CT, spine — Sagittal slice 269/512 — bone-window reconstruction — 526x1214 px — the image spans 368 mm across — part of the image has been replaced by a constant value
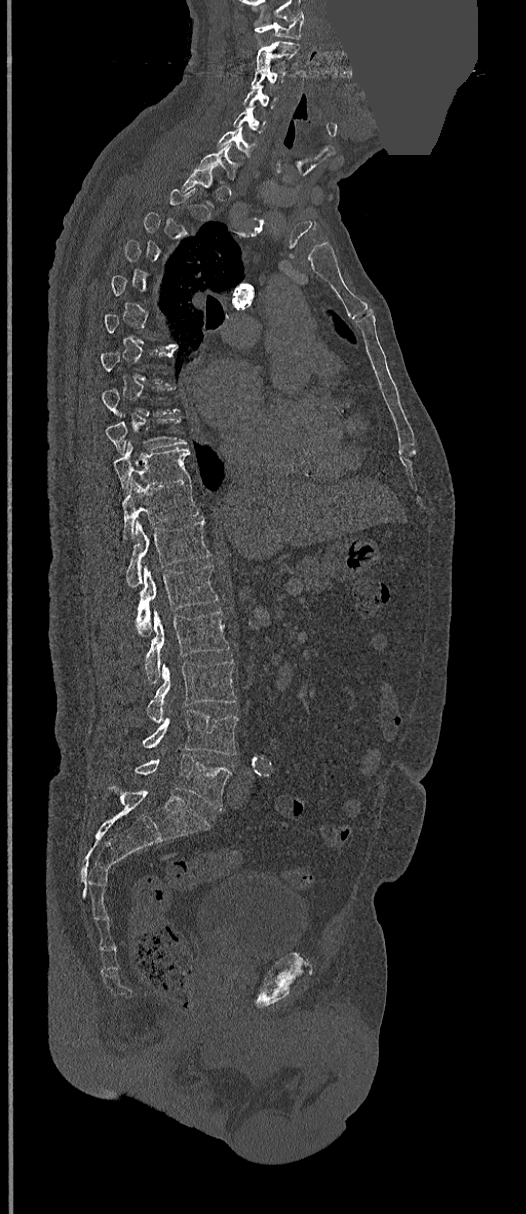

Each box given as x1,y1,x2,y2. A vertebra is boxed only from the first to the last slice where its cross-section is at least a third of its largest; slices outside that range leave it without a box. 16 vertebrae labeled — C1 at x1=254, y1=13, x2=305, y2=39; C2 at x1=256, y1=40, x2=299, y2=68; C3 at x1=252, y1=68, x2=285, y2=86; C4 at x1=244, y1=87, x2=277, y2=109; C5 at x1=233, y1=107, x2=267, y2=133; C6 at x1=217, y1=127, x2=256, y2=158; C7 at x1=198, y1=144, x2=239, y2=179; T9 at x1=106, y1=413, x2=187, y2=453; T10 at x1=114, y1=441, x2=190, y2=490; T11 at x1=122, y1=479, x2=200, y2=539; T12 at x1=125, y1=519, x2=211, y2=586; L1 at x1=135, y1=564, x2=219, y2=636; L2 at x1=143, y1=611, x2=229, y2=683; L3 at x1=147, y1=661, x2=236, y2=722; L4 at x1=142, y1=710, x2=237, y2=755; L5 at x1=135, y1=754, x2=232, y2=809.